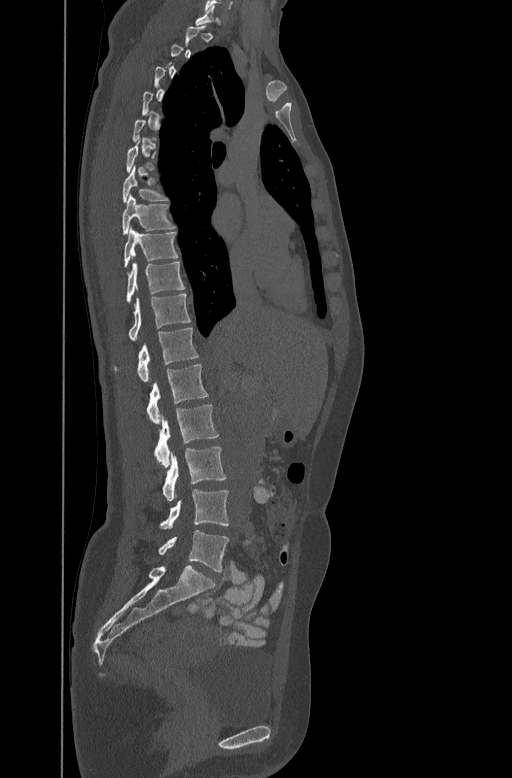 CT, spine — sagittal view — W/L 1800/400 HU — 512x778 px
Boxes are given in columns x1, y1, x2, y2, the pixel coordinates of their top-left and bottom-right corners.
A vertebra is boxed only from the first to the last slice where its cross-section is at least a third of its largest; slices outside that range leave it without a box.
| vertebra | x1 | y1 | x2 | y2 |
|---|---|---|---|---|
| C7 | 195 | 5 | 225 | 25 |
| T7 | 122 | 165 | 168 | 201 |
| T8 | 121 | 193 | 175 | 233 |
| T9 | 124 | 227 | 178 | 267 |
| T10 | 126 | 261 | 184 | 302 |
| T11 | 128 | 293 | 190 | 340 |
| T12 | 114 | 326 | 198 | 381 |
| L1 | 147 | 363 | 209 | 423 |
| L2 | 155 | 404 | 219 | 465 |
| L3 | 161 | 446 | 226 | 500 |
| L4 | 159 | 490 | 229 | 529 |
| L5 | 158 | 530 | 229 | 571 |